CT. the image spans 218 mm across. sagittal reformat. 218x613 px
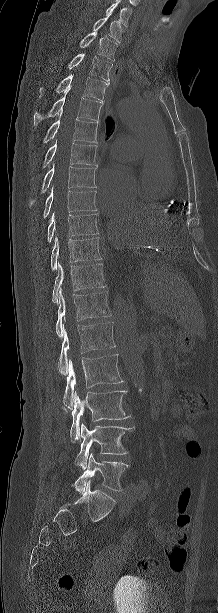 Boxes: x1 y1 x2 y2 (pixel coords, space-separated).
The highest labeled vertebra in this scan is C7; the lowest is L5.
L5: 72 453 128 493
L4: 75 423 134 469
L3: 70 390 130 442
L2: 63 354 123 409
L1: 59 322 115 375
T12: 55 288 111 336
T11: 52 261 104 302
T10: 51 236 101 270
T9: 47 212 98 242
T8: 44 186 96 217
T7: 29 163 96 206
T6: 42 140 97 168
T5: 43 110 98 143
T4: 34 86 104 124
T3: 39 74 109 99
T2: 68 53 112 81
T1: 79 30 117 61
C7: 93 14 125 43